Spine computed tomography — sagittal view
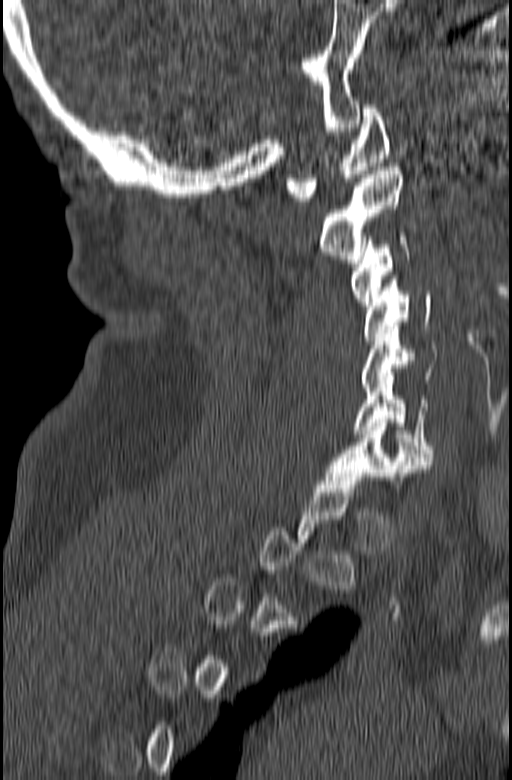
Box values are [left, top, right, bottom] in pixels.
A vertebra gets a box only on the slices from the first to the last where its cross-section is at least a third of its largest; on a slice outside that range it gets none.
{"vertebrae":{"C1":[286,105,390,201],"C2":[321,167,403,263],"C3":[351,233,409,305],"C4":[364,275,431,340],"C5":[361,322,437,391],"C6":[354,376,434,461],"C7":[326,419,432,488]}}